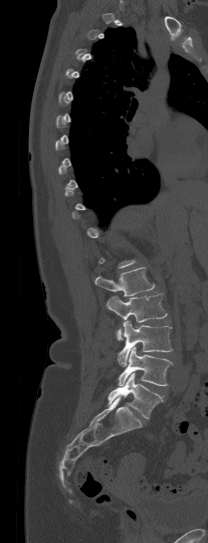

CT · sagittal view · 208x543 px
Each box is [x1, y1, x2, y2] in pixels: top-left corner, then bottom-right corner.
A vertebra is boxed only from the first to the last slice where its cross-section is at least a third of its largest; slices outside that range leave it without a box.
{"vertebrae":{"L1":[95,267,154,296],"L2":[106,292,167,339],"L3":[117,320,172,366],"L4":[118,347,173,385],"L5":[108,373,162,418]}}